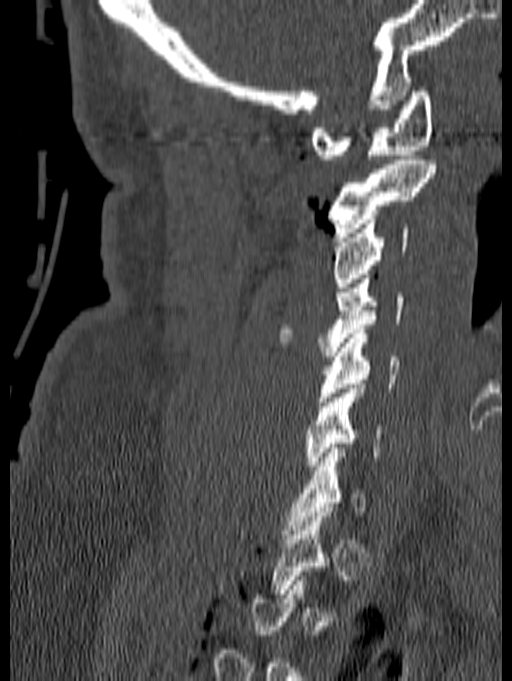

Spine computed tomography · sagittal view
Box edges are left/top/right/bottom in pixels.
Not every vertebra on this slice has a box: a vertebra is boxed only from the first to the last slice where its cross-section is at least a third of its largest, and this slice is outside that range for at least one of them.
Vertebra bounding boxes:
- C1: left=312, top=87, right=433, bottom=159
- C2: left=328, top=160, right=436, bottom=237
- C3: left=333, top=219, right=409, bottom=287
- C4: left=278, top=274, right=404, bottom=356
- C5: left=318, top=329, right=399, bottom=401
- C6: left=305, top=384, right=383, bottom=470